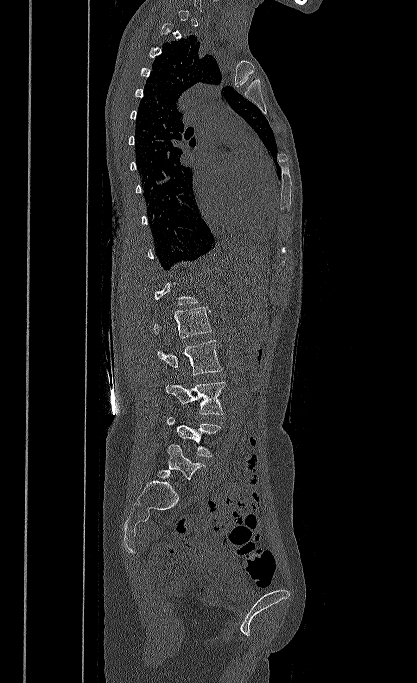

CT. sagittal view
Coordinates as <box>x1,y1,x2,y2</box>.
A vertebra gets a box only on the slices from the first to the last where its cross-section is at least a third of its largest; on a slice outside that range it gets none.
L1: <box>153,306,212,338</box>
L2: <box>157,340,222,375</box>
L3: <box>166,381,225,414</box>
L4: <box>167,417,222,457</box>
L5: <box>158,444,205,480</box>